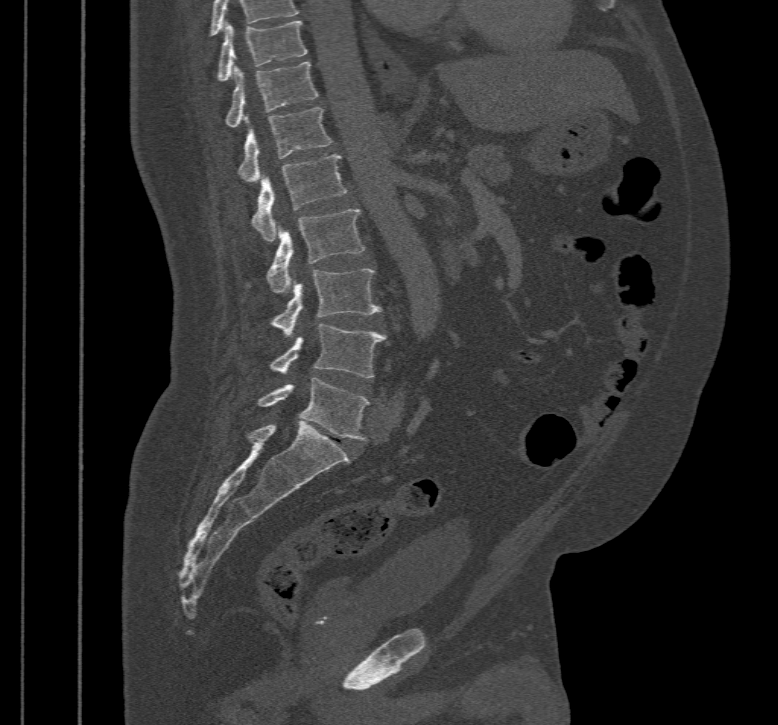 Spine CT; sagittal view; bone-window reconstruction
Each box given as x1,y1,x2,y2. The highest labeled vertebra in this scan is T10; the lowest is L5. 8 vertebrae labeled — L5 at x1=258, y1=377, x2=368, y2=441; L4 at x1=271, y1=324, x2=387, y2=378; L3 at x1=272, y1=268, x2=381, y2=336; L2 at x1=266, y1=209, x2=365, y2=293; L1 at x1=252, y1=154, x2=347, y2=241; T12 at x1=239, y1=107, x2=332, y2=183; T11 at x1=225, y1=62, x2=318, y2=128; T10 at x1=216, y1=20, x2=308, y2=81.